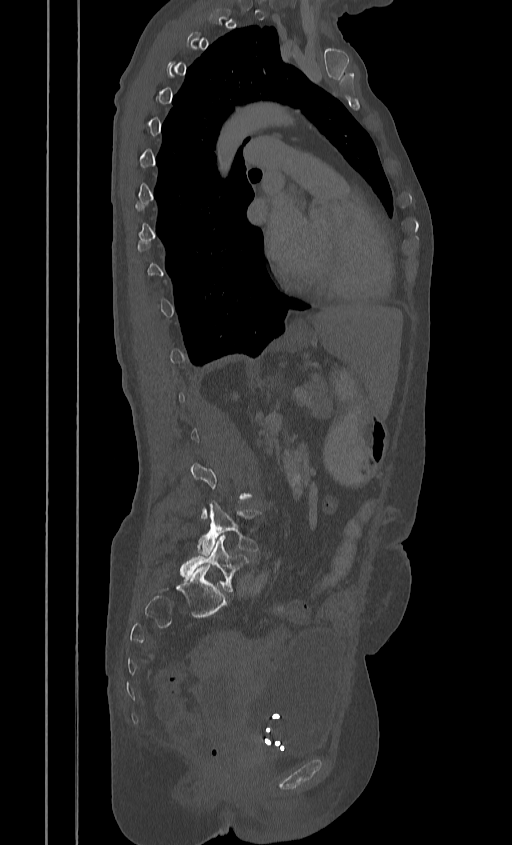
Spine computed tomography; sagittal view
Boxes: x1:y1:x2:y2 in pixels.
Each vertebra is boxed only on the slices from the first to the last where its cross-section reaches a third of its largest, so a slice outside that range leaves it unboxed.
L4: 197:503:261:555
L5: 180:535:249:591